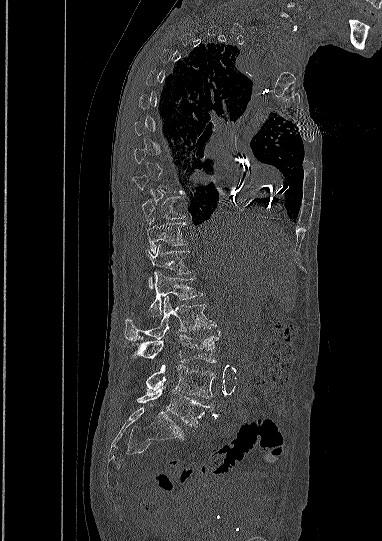
CT; sagittal view
Columns x1, y1, x2, y2 give each box's top-left and bottom-right pixels.
Not every vertebra on this slice has a box: a vertebra is boxed only from the first to the last slice where its cross-section is at least a third of its largest, and this slice is outside that range for at least one of them.
| vertebra | x1 | y1 | x2 | y2 |
|---|---|---|---|---|
| T10 | 141 | 197 | 185 | 223 |
| T11 | 146 | 219 | 187 | 251 |
| T12 | 148 | 245 | 190 | 288 |
| L1 | 150 | 272 | 202 | 316 |
| L2 | 125 | 296 | 216 | 340 |
| L3 | 130 | 334 | 218 | 362 |
| L4 | 146 | 365 | 215 | 398 |
| L5 | 137 | 387 | 214 | 426 |